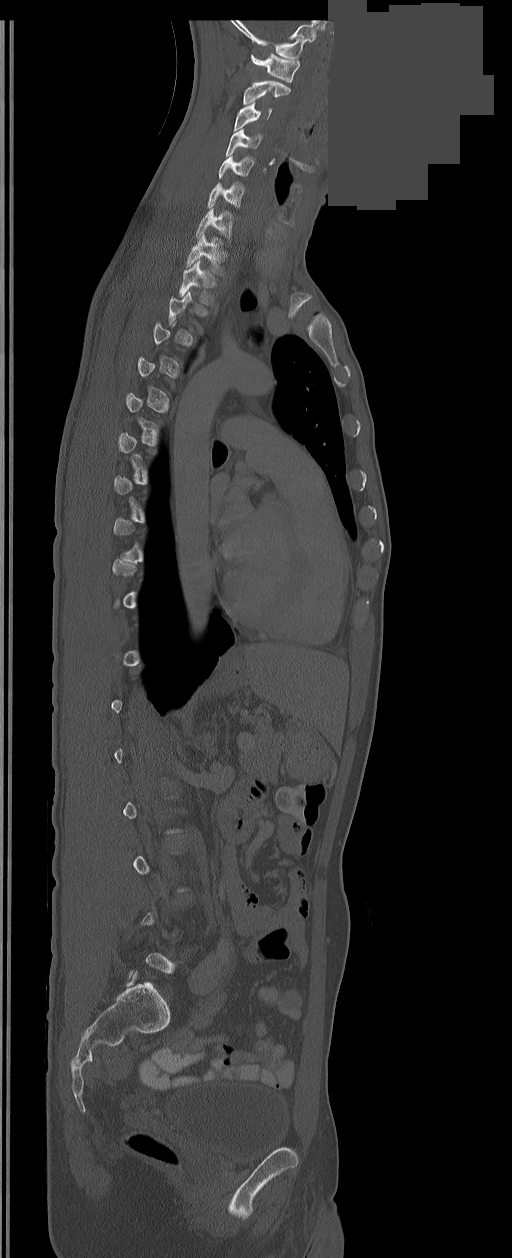
CT, spine — 350 mm wide — sagittal reformat — bone window — a region is masked with a constant gray value
Box edges are left/top/right/bottom in pixels.
Not every vertebra on this slice has a box: a vertebra is boxed only from the first to the last slice where its cross-section is at least a third of its largest, and this slice is outside that range for at least one of them.
| vertebra | x1 | y1 | x2 | y2 |
|---|---|---|---|---|
| C1 | 251 | 53 | 299 | 83 |
| C2 | 243 | 81 | 290 | 105 |
| C3 | 234 | 102 | 271 | 131 |
| C4 | 226 | 129 | 261 | 156 |
| C5 | 218 | 155 | 254 | 178 |
| C6 | 208 | 183 | 244 | 207 |
| C7 | 196 | 208 | 232 | 239 |
| T1 | 186 | 234 | 225 | 274 |
| T2 | 179 | 261 | 216 | 306 |